Spine computed tomography · sagittal view · W/L 1800/400 HU · 512x878 px
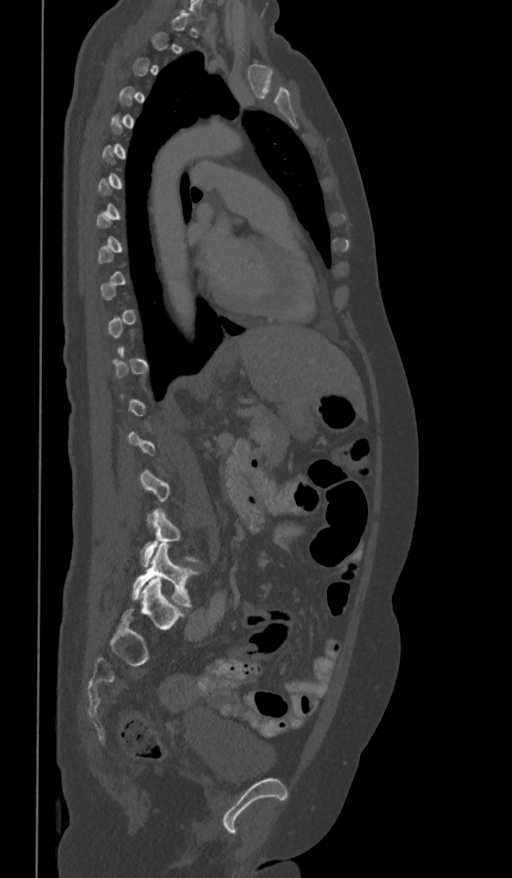

Boxes: x1 y1 x2 y2 (pixel coords, space-separated).
A vertebra is boxed only from the first to the last slice where its cross-section is at least a third of its largest; slices outside that range leave it without a box.
Vertebra bounding boxes:
- L5: 132 544 197 607
- L4: 142 508 199 567